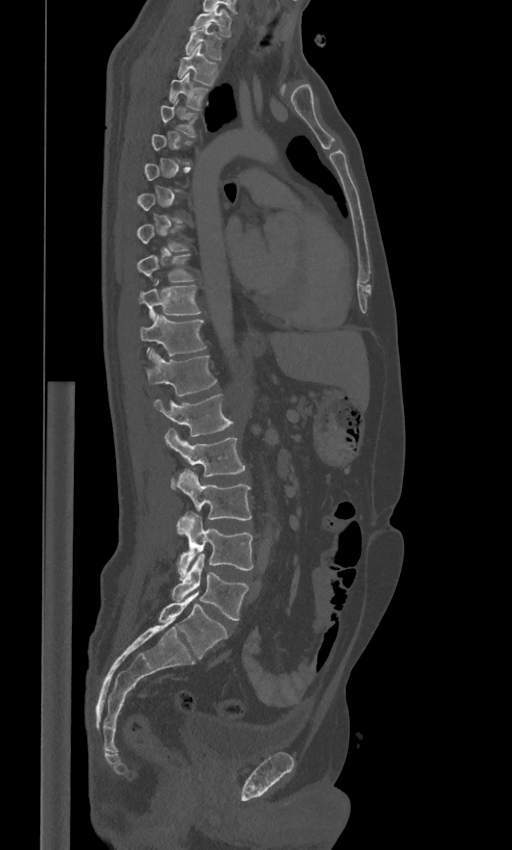

Spine computed tomography — sagittal reformat — 443 mm image width — 512x850 px
Boxes are given in columns x1, y1, x2, y2, the pixel coordinates of their top-left and bottom-right corners.
Not every vertebra on this slice has a box: a vertebra is boxed only from the first to the last slice where its cross-section is at least a third of its largest, and this slice is outside that range for at least one of them.
In these labels the spine has an L6, a sixth lumbar vertebra below L5.
| vertebra | x1 | y1 | x2 | y2 |
|---|---|---|---|---|
| C7 | 191 | 9 | 231 | 36 |
| T1 | 185 | 24 | 223 | 59 |
| T2 | 177 | 45 | 219 | 86 |
| T3 | 169 | 72 | 208 | 109 |
| T4 | 161 | 100 | 198 | 137 |
| T8 | 137 | 225 | 188 | 252 |
| T9 | 137 | 254 | 194 | 281 |
| T10 | 139 | 279 | 201 | 319 |
| T11 | 139 | 313 | 206 | 356 |
| T12 | 144 | 348 | 216 | 395 |
| L1 | 154 | 393 | 232 | 436 |
| L2 | 165 | 428 | 245 | 485 |
| L3 | 177 | 469 | 251 | 519 |
| L4 | 177 | 513 | 253 | 575 |
| L5 | 172 | 554 | 249 | 620 |
| L6 | 158 | 591 | 228 | 658 |